CT spine · sagittal plane, index 206
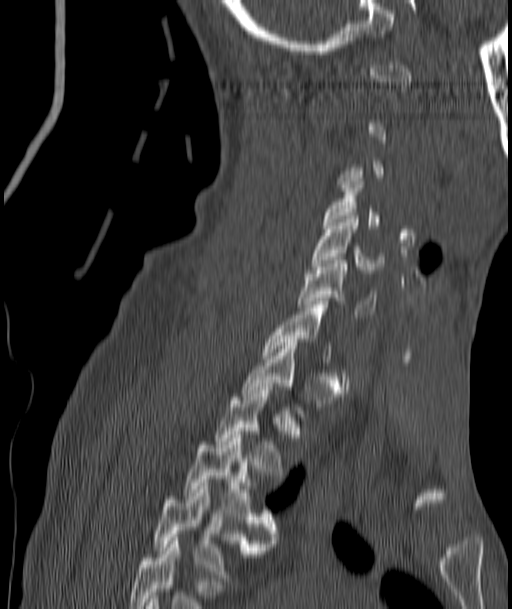 Box values are [left, top, right, bottom] in pixels.
A vertebra is boxed only from the first to the last slice where its cross-section is at least a third of its largest; slices outside that range leave it without a box.
{"vertebrae":{"C4":[324,178,380,228],"C5":[313,216,383,273],"C6":[297,260,376,317],"C7":[264,301,331,362],"T2":[214,387,285,478],"T3":[184,435,276,543],"T4":[151,486,265,581]}}